CT spine — Sagittal slice 258/512
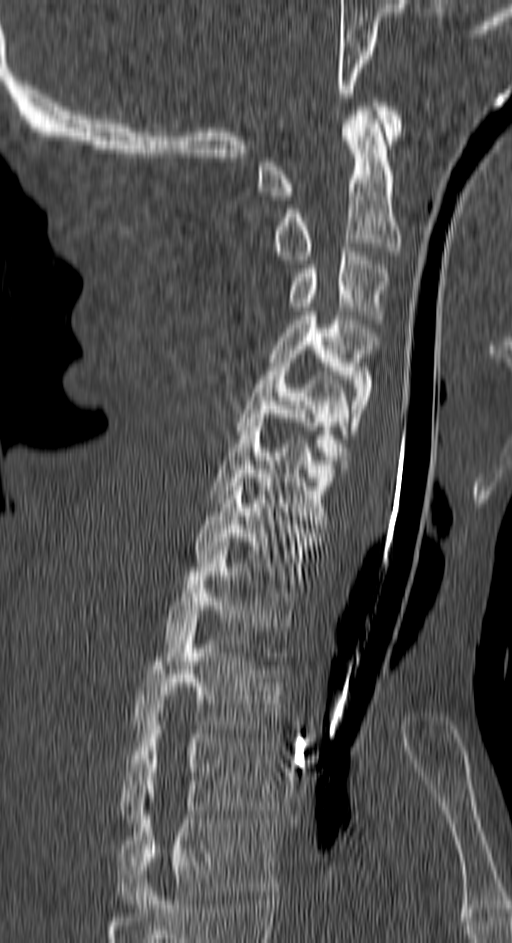 <vertebrae><v name="T4" x1="117" y1="798" x2="277" y2="908"/><v name="T3" x1="121" y1="717" x2="277" y2="822"/><v name="T2" x1="131" y1="619" x2="283" y2="733"/><v name="T1" x1="165" y1="546" x2="296" y2="660"/><v name="C7" x1="196" y1="474" x2="321" y2="588"/><v name="C6" x1="209" y1="418" x2="345" y2="528"/><v name="C5" x1="235" y1="358" x2="349" y2="468"/><v name="C4" x1="271" y1="311" x2="376" y2="434"/><v name="C3" x1="288" y1="247" x2="389" y2="323"/><v name="C2" x1="271" y1="107" x2="403" y2="259"/><v name="C1" x1="257" y1="102" x2="403" y2="200"/></vertebrae>